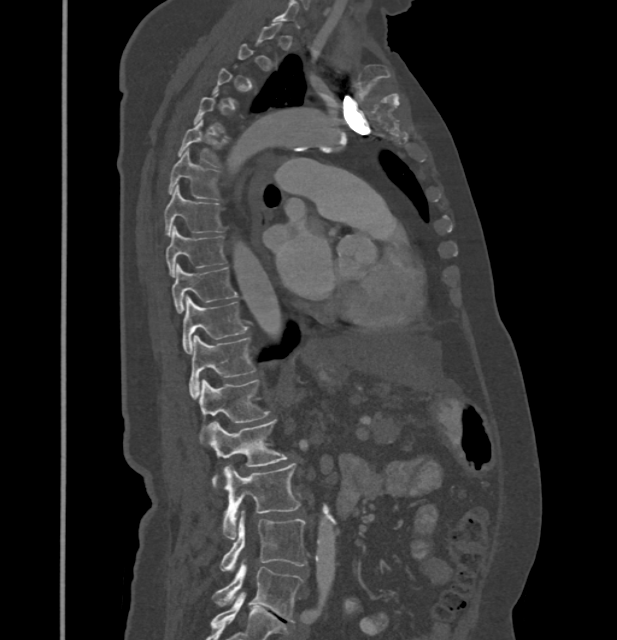
Computed tomography of the spine. sagittal view. bone window
Boxes are (x1, y1, x2, y2) in pixels.
A vertebra gets a box only on the slices from the first to the last where its cross-section is at least a third of its largest; on a slice outside that range it gets none.
These labels give this spine no T12: after T11 the next vertebra is L1.
Vertebra bounding boxes:
- T5: (178, 120, 226, 168)
- T6: (169, 150, 218, 199)
- T7: (164, 185, 223, 235)
- T8: (165, 226, 226, 276)
- T9: (171, 266, 238, 312)
- T10: (183, 296, 247, 354)
- T11: (188, 335, 255, 398)
- L1: (199, 379, 269, 442)
- L2: (209, 420, 286, 488)
- L3: (223, 463, 299, 539)
- L4: (222, 510, 306, 571)
- L5: (212, 562, 303, 622)